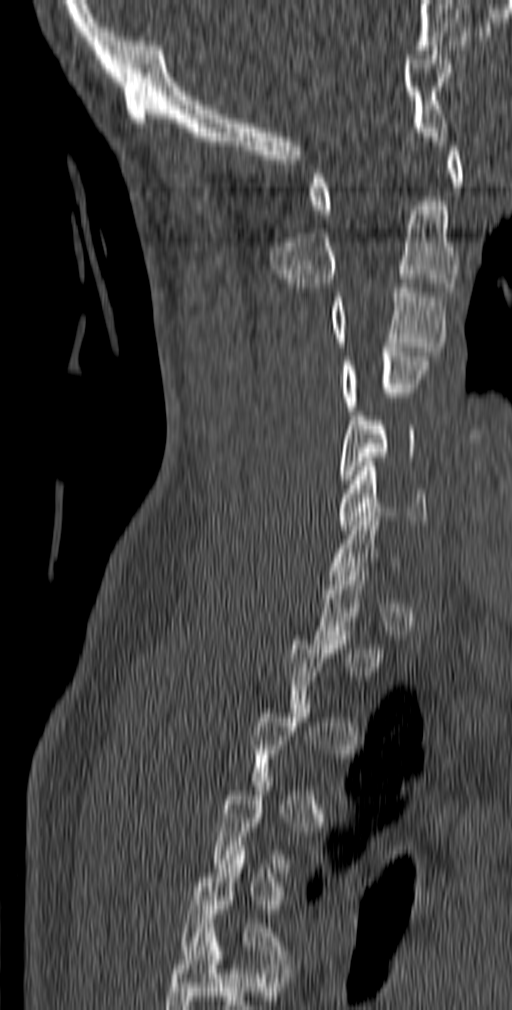

CT spine · sagittal view · bone window
Boxes below are [x1, y1, x2, y2] in pixels.
Not every vertebra on this slice has a box: a vertebra is boxed only from the first to the last slice where its cross-section is at least a third of its largest, and this slice is outside that range for at least one of them.
In this scan, the topmost labeled vertebra is C1 and the lowest is T5.
{"vertebrae":{"C1":[309,146,465,214],"C2":[271,201,459,292],"C3":[330,283,447,356],"C4":[341,347,428,415],"C5":[338,411,417,484],"C6":[338,462,427,529],"T5":[181,850,286,964]}}